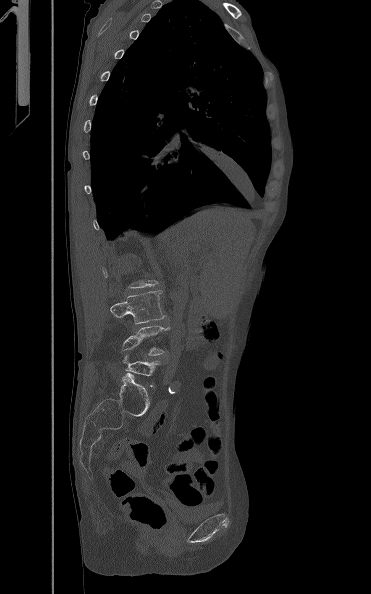
CT spine. sagittal view. the image spans 371 mm across. Boxes: x1 y1 x2 y2 (pixel coords, space-separated). A vertebra is boxed only from the first to the last slice where its cross-section is at least a third of its largest; slices outside that range leave it without a box. Vertebrae labeled: L3 at 110 290 165 323, L4 at 122 325 169 355.